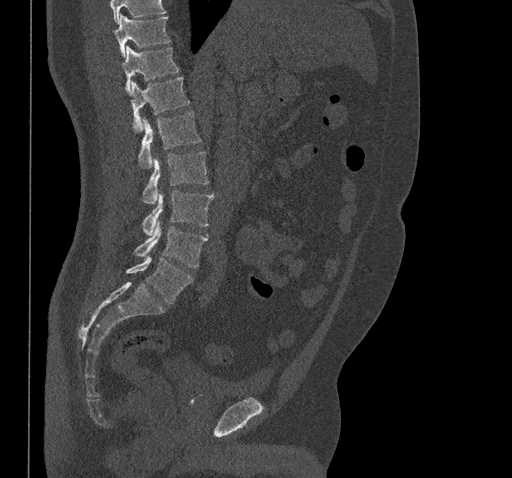 CT, spine · the image spans 461 mm across · sagittal view · 512x478 px
Each row gives a vertebra's box as x1, y1, x2, y2 in pixels: top-left corner, then bottom-right corner.
No box is given to a vertebra that the top edge of the scan cuts off.
| vertebra | x1 | y1 | x2 | y2 |
|---|---|---|---|---|
| T10 | 113 | 16 | 170 | 56 |
| T11 | 116 | 46 | 178 | 91 |
| T12 | 130 | 76 | 188 | 131 |
| L1 | 139 | 111 | 200 | 168 |
| L2 | 143 | 151 | 208 | 204 |
| L3 | 142 | 190 | 214 | 235 |
| L4 | 134 | 220 | 207 | 267 |
| L5 | 127 | 256 | 193 | 304 |